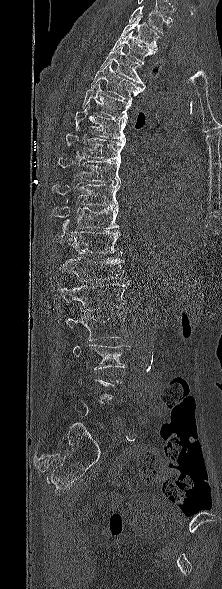 CT, spine. sagittal view

Boxes: x1 y1 x2 y2 (pixel coords, space-separated). A vertebra gets a box only on the slices from the first to the last where its cross-section is at least a third of its largest; on a slice outside that range it gets none. This scan's labels start at T1 at the top and end at L5 at the bottom. The labeled vertebrae in this slice are: T1 at 120 16 159 52, T2 at 112 31 154 64, T3 at 100 44 145 86, T4 at 91 61 144 101, T5 at 82 84 131 119, T6 at 75 104 126 141, T7 at 65 134 125 160, T8 at 58 157 120 184, T9 at 52 184 120 208, T10 at 52 199 118 230, T11 at 54 223 122 254, T12 at 59 257 124 281, L1 at 57 280 129 311, L2 at 66 311 127 340, L3 at 73 344 129 370.